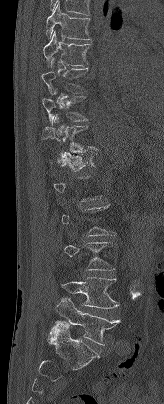
Computed tomography of the spine — sagittal reformat
Columns x1, y1, x2, y2 give each box's top-left and bottom-right pixels.
A vertebra is boxed only from the first to the last slice where its cross-section is at least a third of its largest; slices outside that range leave it without a box.
| vertebra | x1 | y1 | x2 | y2 |
|---|---|---|---|---|
| L5 | 50 | 297 | 120 | 345 |
| L4 | 61 | 277 | 119 | 308 |
| T12 | 51 | 151 | 96 | 171 |
| T11 | 41 | 114 | 98 | 152 |
| T10 | 42 | 89 | 87 | 124 |
| T9 | 41 | 58 | 88 | 94 |
| T8 | 43 | 31 | 90 | 66 |
| T7 | 46 | 1 | 91 | 39 |